CT. sagittal plane, index 40. W/L 1800/400 HU. image 291 mm wide
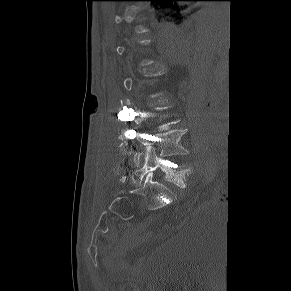 Boxes: x1:y1:x2:y2 in pixels. A vertebra is boxed only from the first to the last slice where its cross-section is at least a third of its largest; slices outside that range leave it without a box. 2 vertebrae labeled — L5 at 132:146:190:187; L4 at 134:129:188:164.